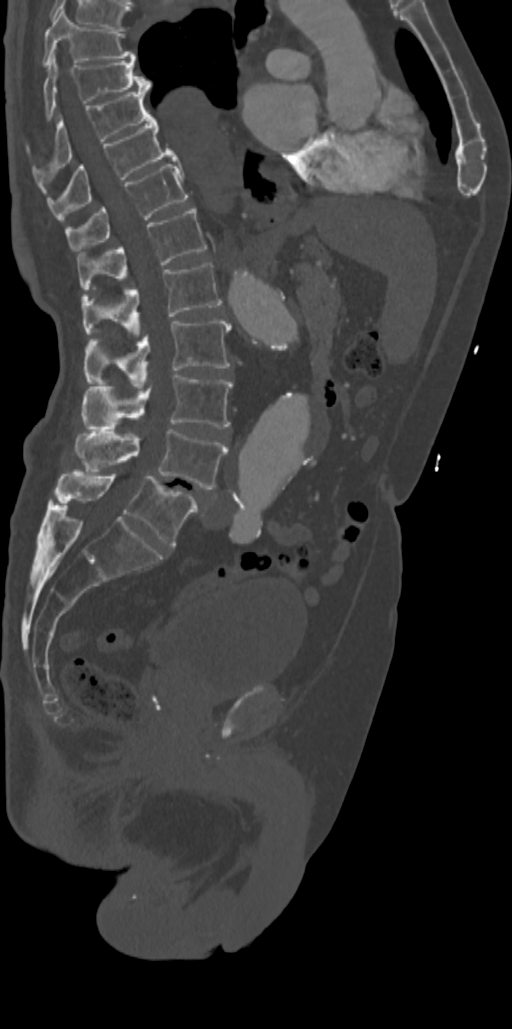
CT spine; sagittal reformat; Bone window (WL 400, WW 1800); 512x1029 px
Box edges are left/top/right/bottom in pixels.
L5: left=54, top=470, right=198, bottom=545
L4: left=75, top=427, right=228, bottom=489
L3: left=84, top=373, right=232, bottom=430
L2: left=84, top=319, right=231, bottom=385
L1: left=81, top=263, right=222, bottom=334
T12: left=76, top=207, right=207, bottom=291
T11: left=64, top=164, right=187, bottom=251
T10: left=46, top=117, right=176, bottom=219
T9: left=33, top=90, right=150, bottom=174
T8: left=43, top=54, right=152, bottom=120
T7: left=42, top=9, right=135, bottom=66